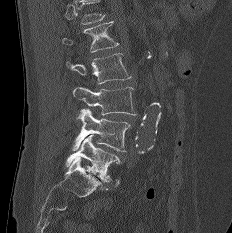

Spine computed tomography — sagittal reformat
Columns x1, y1, x2, y2 give each box's top-left and bottom-right pixels.
Vertebrae that run past the top of the scan are left unlabeled.
| vertebra | x1 | y1 | x2 | y2 |
|---|---|---|---|---|
| L1 | 62 | 21 | 119 | 52 |
| L2 | 66 | 53 | 130 | 84 |
| L3 | 72 | 87 | 136 | 116 |
| L4 | 72 | 108 | 131 | 151 |
| L5 | 65 | 134 | 120 | 181 |